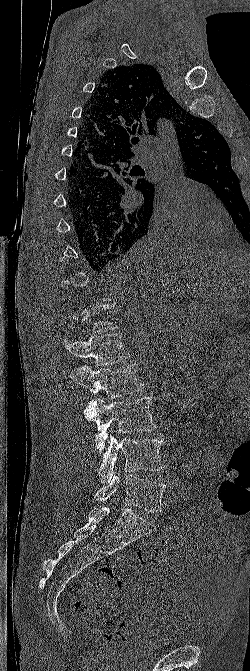
Spine computed tomography; sagittal view; 250 mm image width; W/L 1800/400 HU
Not every vertebra on this slice has a box: a vertebra is boxed only from the first to the last slice where its cross-section is at least a third of its largest, and this slice is outside that range for at least one of them.
<vertebrae><v name="L5" x1="94" y1="472" x2="165" y2="512"/><v name="L4" x1="98" y1="434" x2="163" y2="483"/><v name="L3" x1="84" y1="396" x2="155" y2="451"/><v name="L2" x1="70" y1="364" x2="144" y2="399"/><v name="L1" x1="63" y1="333" x2="130" y2="365"/></vertebrae>